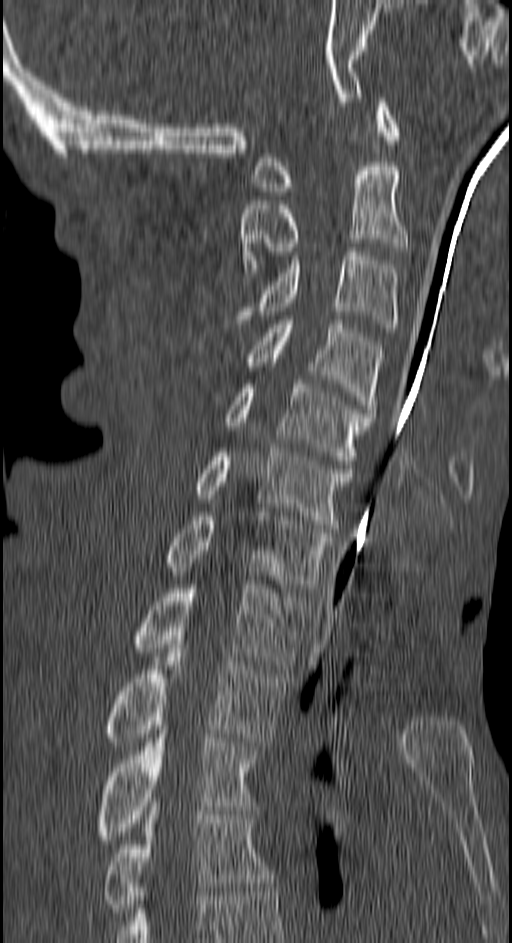

Spine computed tomography. sagittal view. bone-window reconstruction. the image is 150 mm wide

Box values are [left, top, right, bottom] in pixels.
{"vertebrae":{"C1":[253,98,396,195],"C2":[240,166,406,272],"C3":[232,252,396,328],"C4":[244,316,383,413],"C5":[223,380,376,468],"C6":[196,448,352,532],"C7":[165,508,335,592],"T1":[131,585,305,669],"T2":[104,644,287,746],"T3":[97,730,256,844],"T4":[104,802,273,916]}}